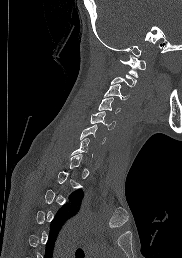 Computed tomography of the spine; 182 mm wide; sagittal view
Coordinates as <box>x1,y1,x2,y2</box>. Each vertebra is boxed only on the slices from the first to the last where its cross-section reaches a third of its largest, so a slice outside that range leaves it unboxed. 5 vertebrae labeled — C6 at <box>80,124,105,143</box>; C5 at <box>90,111,115,129</box>; C4 at <box>98,98,120,113</box>; C3 at <box>104,84,129,100</box>; C1 at <box>119,55,145,77</box>.